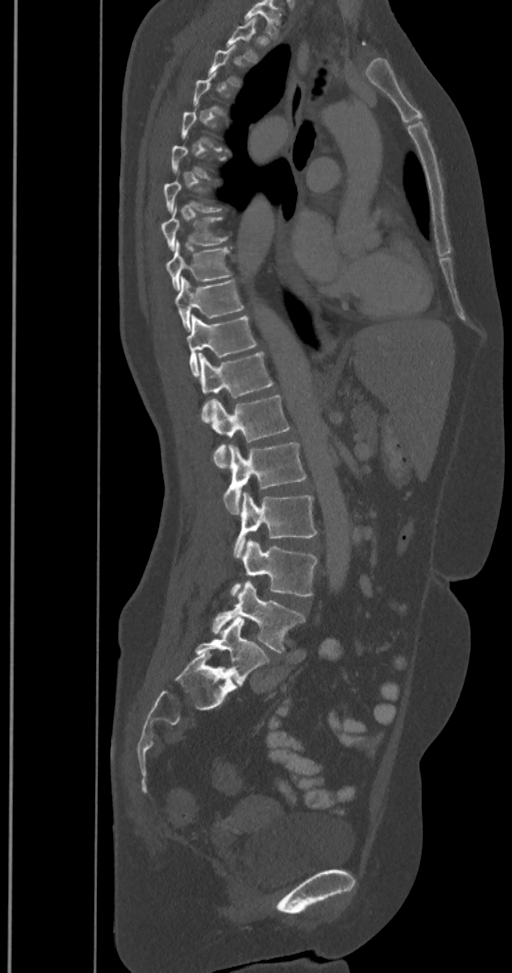 CT spine; sagittal view; W/L 1800/400 HU; the image is 350 mm wide. Bounding boxes as [x1, y1, x2, y2] in pixel coordinates.
Each vertebra is boxed only on the slices from the first to the last where its cross-section reaches a third of its largest, so a slice outside that range leaves it unboxed.
In these labels the spine has an L6, a sixth lumbar vertebra below L5.
L6: [196, 617, 268, 684]
L5: [212, 581, 305, 652]
L4: [231, 538, 316, 597]
L3: [234, 492, 316, 557]
L2: [224, 442, 306, 514]
L1: [209, 395, 290, 468]
T12: [198, 352, 272, 422]
T11: [186, 315, 256, 376]
T10: [174, 276, 243, 331]
T9: [165, 242, 230, 290]
T8: [161, 212, 227, 249]